Computed tomography of the spine — Sagittal slice 237/512
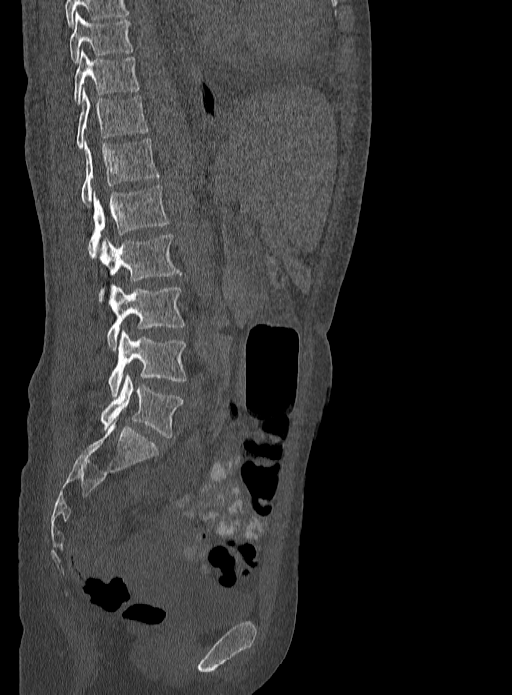
Box edges are left/top/right/bottom in pixels.
Vertebra bounding boxes:
- T9: left=69, top=12, right=132, bottom=62
- T10: left=74, top=51, right=139, bottom=104
- T11: left=77, top=89, right=148, bottom=148
- T12: left=81, top=138, right=159, bottom=205
- L1: left=87, top=185, right=169, bottom=256
- L2: left=100, top=234, right=182, bottom=300
- L3: left=107, top=284, right=185, bottom=350
- L4: left=107, top=331, right=186, bottom=396
- L5: left=100, top=374, right=183, bottom=437